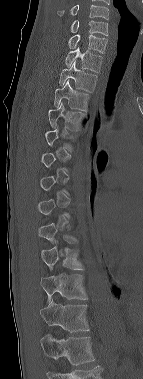
Spine CT — sagittal view — Bone window (WL 400, WW 1800) — 143x379 px

Boxes: x1 y1 x2 y2 (pixel coords, space-separated).
A vertebra gets a box only on the slices from the first to the last where its cross-section is at least a third of its largest; on a slice outside that range it gets none.
In this scan, the topmost labeled vertebra is C6 and the lowest is T12.
Vertebra bounding boxes:
- C6: 71 20 108 35
- C7: 68 34 107 53
- T1: 65 47 102 72
- T2: 59 61 97 91
- T3: 54 80 89 110
- T4: 48 103 85 130
- T10: 41 240 83 269
- T11: 40 274 87 305
- T12: 40 299 89 332